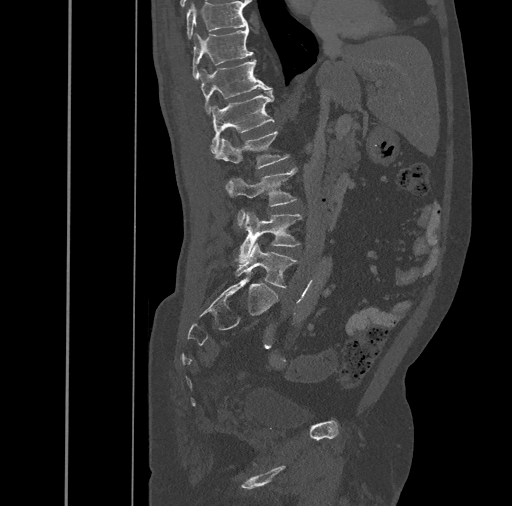
CT, spine — sagittal view — 461 mm wide — bone-window reconstruction — 512x506 px
<vertebrae><v name="T10" x1="186" y1="1" x2="248" y2="38"/><v name="T11" x1="192" y1="27" x2="253" y2="80"/><v name="T12" x1="199" y1="59" x2="272" y2="114"/><v name="L1" x1="210" y1="89" x2="275" y2="153"/><v name="L2" x1="216" y1="131" x2="288" y2="168"/><v name="L3" x1="225" y1="168" x2="296" y2="226"/><v name="L4" x1="235" y1="212" x2="302" y2="262"/><v name="L5" x1="235" y1="243" x2="297" y2="287"/></vertebrae>